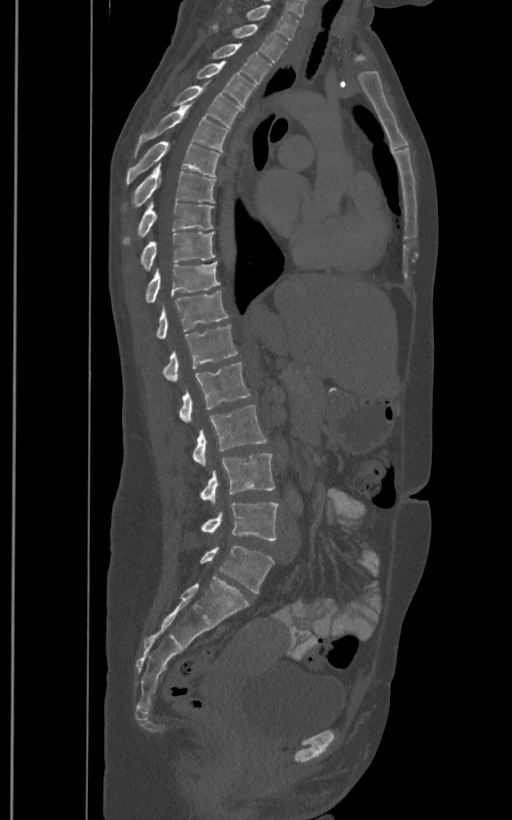
CT, spine — sagittal view — bone-window reconstruction

The labels name a sixth lumbar vertebra for this spine: L6, after L5.
<vertebrae><v name="T1" x1="229" y1="5" x2="298" y2="39"/><v name="T2" x1="211" y1="24" x2="287" y2="61"/><v name="T3" x1="211" y1="44" x2="270" y2="85"/><v name="T4" x1="196" y1="61" x2="255" y2="106"/><v name="T5" x1="171" y1="85" x2="241" y2="127"/><v name="T6" x1="134" y1="104" x2="228" y2="157"/><v name="T7" x1="125" y1="142" x2="220" y2="184"/><v name="T8" x1="132" y1="164" x2="215" y2="208"/><v name="T9" x1="124" y1="202" x2="214" y2="244"/><v name="T10" x1="141" y1="232" x2="215" y2="269"/><v name="T11" x1="146" y1="262" x2="220" y2="302"/><v name="T12" x1="156" y1="290" x2="228" y2="338"/><v name="L1" x1="162" y1="325" x2="237" y2="381"/><v name="L2" x1="179" y1="362" x2="250" y2="423"/><v name="L3" x1="193" y1="404" x2="266" y2="466"/><v name="L4" x1="200" y1="453" x2="275" y2="504"/><v name="L5" x1="201" y1="501" x2="279" y2="540"/><v name="L6" x1="200" y1="545" x2="274" y2="592"/></vertebrae>